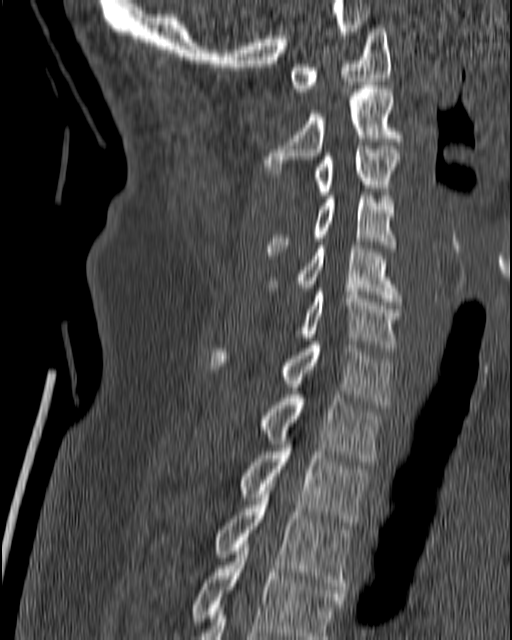 CT · 180 mm across the image · sagittal view · W/L 1800/400 HU
Each box given as x1,y1,x2,y2.
C1: x1=290, y1=25, x2=391, y2=91
C2: x1=263, y1=85, x2=402, y2=177
C3: x1=313, y1=146, x2=399, y2=195
C4: x1=265, y1=192, x2=394, y2=255
C5: x1=269, y1=245, x2=401, y2=301
C6: x1=302, y1=288, x2=401, y2=351
C7: x1=211, y1=341, x2=392, y2=408
T1: x1=263, y1=391, x2=381, y2=461
T2: x1=240, y1=444, x2=367, y2=529
T3: x1=214, y1=487, x2=353, y2=596
T4: x1=190, y1=544, x2=344, y2=639